Spine computed tomography. sagittal plane, index 105. Bone window (WL 400, WW 1800)
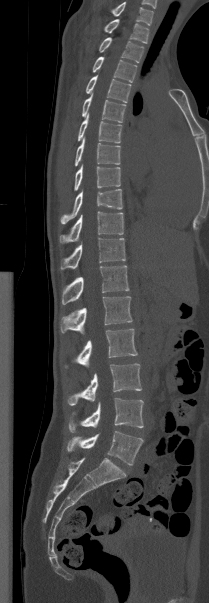
Boxes are (x1, y1, x2, y2) in pixels.
In this scan, the topmost labeled vertebra is T1 and the lowest is L5.
T1: (104, 19, 148, 43)
T2: (99, 37, 143, 62)
T3: (92, 56, 137, 82)
T4: (86, 75, 131, 102)
T5: (82, 92, 125, 122)
T6: (77, 114, 121, 143)
T7: (75, 138, 120, 165)
T8: (74, 164, 120, 190)
T9: (60, 189, 122, 223)
T10: (59, 211, 123, 243)
T11: (60, 238, 125, 269)
T12: (61, 265, 129, 304)
L1: (60, 296, 132, 334)
L2: (65, 329, 137, 367)
L3: (68, 363, 142, 405)
L4: (69, 398, 143, 432)
L5: (67, 431, 143, 465)